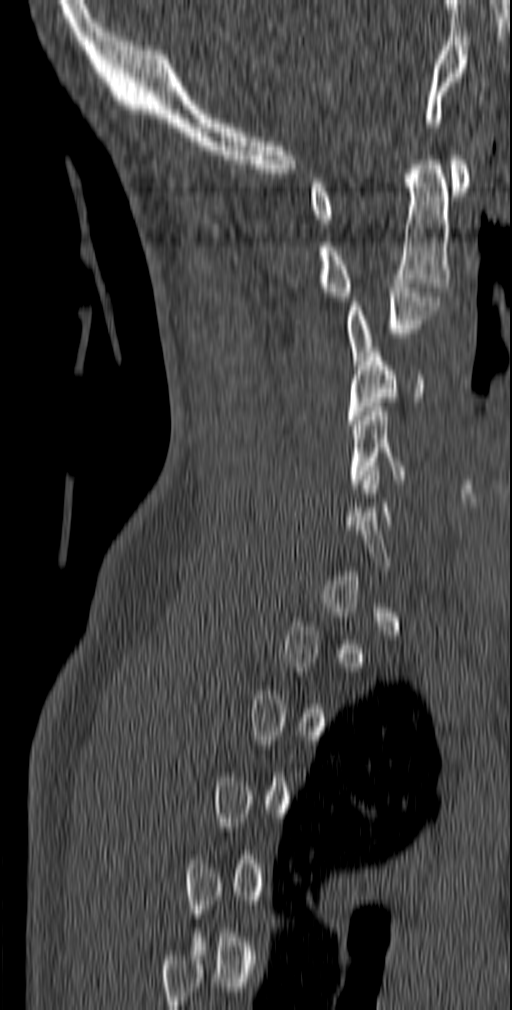
CT — sagittal view — W/L 1800/400 HU — 512x1010 px
Each box given as x1,y1,x2,y2. A vertebra is boxed only from the first to the last slice where its cross-section is at least a third of its largest; slices outside that range leave it without a box. The labeled vertebrae in this slice are: C1 at x1=309, y1=155, x2=470, y2=223, C2 at x1=316, y1=155, x2=451, y2=301, C3 at x1=345, y1=283, x2=439, y2=369, C4 at x1=347, y1=347, x2=423, y2=424, C5 at x1=349, y1=407, x2=412, y2=488.